CT spine — sagittal plane, index 13
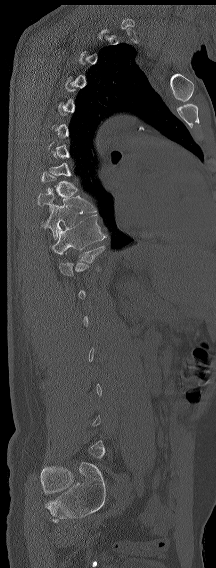

Box edges are left/top/right/bottom in pixels.
A vertebra is boxed only from the first to the last slice where its cross-section is at least a third of its largest; slices outside that range leave it without a box.
Vertebra bounding boxes:
- T9: left=37, top=192, right=96, bottom=213
- T10: left=41, top=205, right=78, bottom=238
- T11: left=51, top=214, right=107, bottom=254
- T12: left=59, top=245, right=105, bottom=276